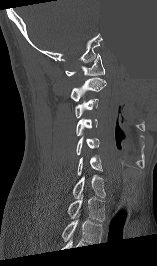 Computed tomography of the spine; sagittal view; bone-window reconstruction; a region of this slice is masked with a uniform fill
Each box is [x1, y1, x2, y2] in pixels: top-left corner, then bottom-right corner.
Labels in this scan begin with C1 at the top and end with T1 at the bottom.
{"vertebrae":{"T1":[67,195,105,221],"C7":[73,175,105,198],"C6":[77,155,102,175],"C5":[76,136,99,155],"C4":[76,118,97,136],"C3":[74,98,98,118],"C2":[70,77,106,101],"C1":[65,53,105,76]}}